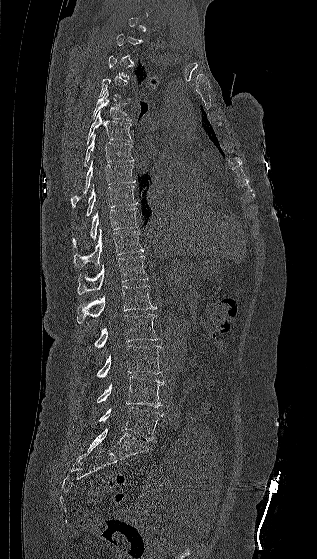
Computed tomography of the spine · the image spans 317 mm across · sagittal view
Coordinates as <box>x1,y1,x2,y2</box>.
Each vertebra is boxed only on the slices from the first to the last where its cross-section reaches a third of its largest, so a slice outside that range leaves it unboxed.
Vertebra bounding boxes:
- L5: <box>99,407,162,440</box>
- L4: <box>96,376,164,407</box>
- L3: <box>96,345,162,377</box>
- L2: <box>93,314,160,348</box>
- L1: <box>77,285,156,323</box>
- T12: <box>77,255,148,294</box>
- T11: <box>73,228,143,267</box>
- T10: <box>72,208,138,247</box>
- T9: <box>85,184,138,216</box>
- T8: <box>71,160,135,206</box>
- T7: <box>84,134,133,166</box>
- T6: <box>86,111,133,145</box>
- T5: <box>92,90,131,120</box>